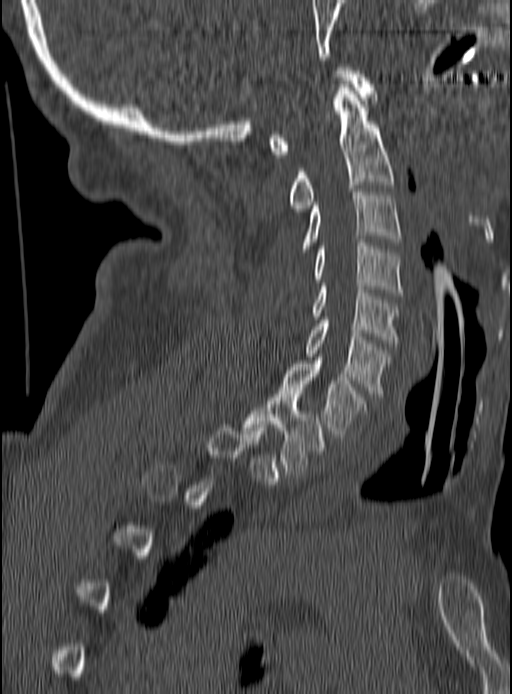 CT, spine; sagittal view; W/L 1800/400 HU
Columns x1, y1, x2, y2 give each box's top-left and bottom-right pixels.
Not every vertebra on this slice has a box: a vertebra is boxed only from the first to the last slice where its cross-section is at least a third of its largest, and this slice is outside that range for at least one of them.
| vertebra | x1 | y1 | x2 | y2 |
|---|---|---|---|---|
| C1 | 269 | 67 | 374 | 157 |
| C2 | 289 | 77 | 393 | 211 |
| C3 | 297 | 189 | 401 | 252 |
| C4 | 313 | 239 | 401 | 295 |
| C5 | 311 | 283 | 399 | 343 |
| C6 | 305 | 317 | 388 | 396 |
| C7 | 280 | 360 | 366 | 437 |
| T1 | 243 | 391 | 323 | 474 |